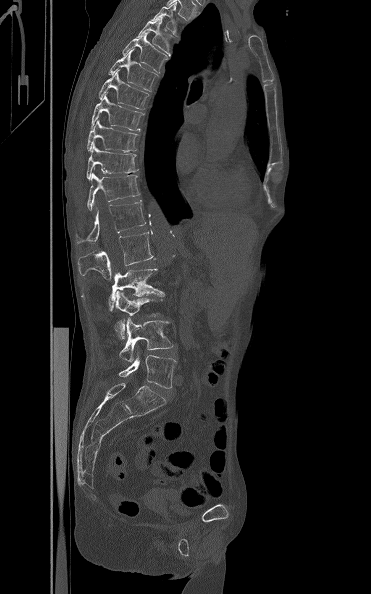
CT spine · sagittal view
<vertebrae><v name="L5" x1="118" y1="355" x2="176" y2="388"/><v name="L4" x1="119" y1="318" x2="173" y2="362"/><v name="L3" x1="114" y1="291" x2="164" y2="339"/><v name="L2" x1="82" y1="268" x2="165" y2="310"/><v name="L1" x1="78" y1="230" x2="153" y2="279"/><v name="T12" x1="76" y1="200" x2="146" y2="243"/><v name="T11" x1="87" y1="173" x2="140" y2="210"/><v name="T10" x1="86" y1="143" x2="138" y2="179"/><v name="T9" x1="87" y1="119" x2="138" y2="151"/><v name="T8" x1="91" y1="93" x2="142" y2="130"/><v name="T7" x1="98" y1="71" x2="148" y2="109"/><v name="T6" x1="108" y1="49" x2="157" y2="91"/><v name="T5" x1="122" y1="32" x2="168" y2="73"/><v name="T4" x1="137" y1="18" x2="173" y2="55"/><v name="T3" x1="152" y1="2" x2="176" y2="34"/></vertebrae>